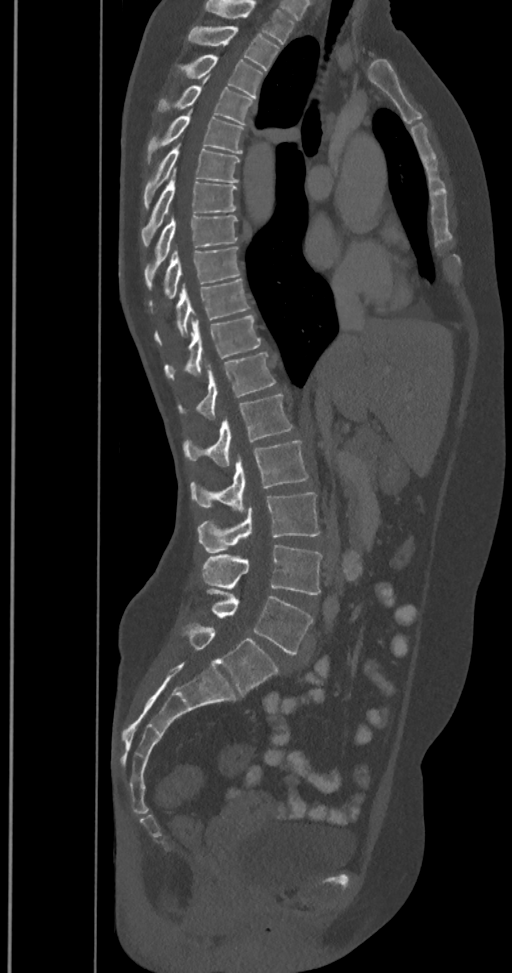
CT spine. sagittal reformat. 512x973 px. Coordinates as <box>x1,y1,x2,y2</box>.
The highest labeled vertebra in this scan is T2; the lowest is L6.
The labels name a sixth lumbar vertebra for this spine: L6, after L5.
Vertebra bounding boxes:
- T2: <box>188,25,280,71</box>
- T3: <box>177,54,264,98</box>
- T4: <box>156,76,253,125</box>
- T5: <box>146,111,245,164</box>
- T6: <box>143,144,239,208</box>
- T7: <box>142,171,237,247</box>
- T8: <box>145,216,237,289</box>
- T9: <box>149,246,240,311</box>
- T10: <box>155,278,249,344</box>
- T11: <box>164,315,261,378</box>
- T12: <box>178,353,275,419</box>
- L1: <box>183,394,293,466</box>
- L2: <box>190,441,309,511</box>
- L3: <box>197,492,319,552</box>
- L4: <box>202,545,322,594</box>
- L5: <box>207,589,313,655</box>
- L6: <box>183,625,278,695</box>